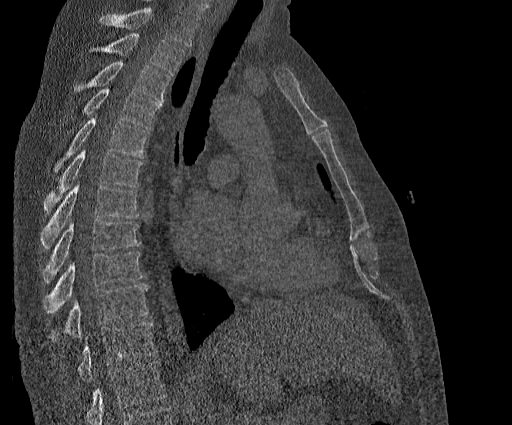
Spine computed tomography · sagittal view · 512x425 px
Box values are [left, top, right, bottom] in pixels.
No box is given to a vertebra that the top edge of the scan cuts off.
This scan's labels start at T2 at the top and end at T11 at the bottom.
{"vertebrae":{"T2":[102,33,184,75],"T3":[74,61,169,100],"T4":[84,88,161,128],"T5":[54,116,148,171],"T6":[44,149,141,211],"T7":[41,183,139,247],"T8":[42,220,140,282],"T9":[42,252,143,314],"T10":[49,284,148,342],"T11":[77,323,156,380]}}